CT. sagittal reformat. Bone window (WL 400, WW 1800)
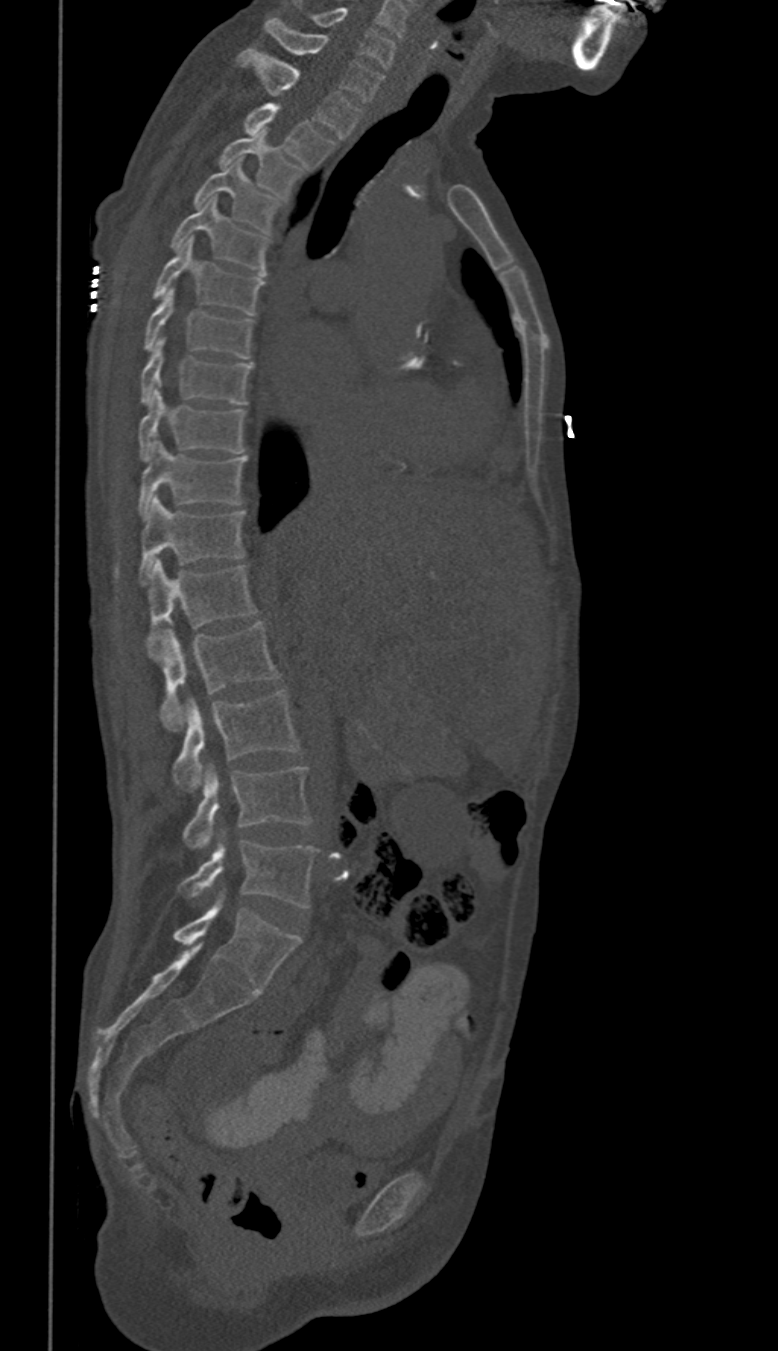
In these labels the spine has no T12: the thoracic vertebrae end at T11, and L1 comes next.
<vertebrae><v name="C6" x1="313" y1="7" x2="394" y2="68"/><v name="C7" x1="264" y1="18" x2="383" y2="102"/><v name="T1" x1="237" y1="47" x2="361" y2="137"/><v name="T2" x1="242" y1="103" x2="335" y2="168"/><v name="T3" x1="220" y1="132" x2="303" y2="197"/><v name="T4" x1="193" y1="160" x2="282" y2="231"/><v name="T5" x1="170" y1="198" x2="269" y2="275"/><v name="T6" x1="153" y1="238" x2="263" y2="315"/><v name="T7" x1="144" y1="287" x2="253" y2="357"/><v name="T8" x1="140" y1="338" x2="253" y2="404"/><v name="T9" x1="137" y1="389" x2="245" y2="462"/><v name="T10" x1="140" y1="440" x2="248" y2="517"/><v name="T11" x1="140" y1="496" x2="245" y2="582"/><v name="L1" x1="146" y1="560" x2="256" y2="659"/><v name="L2" x1="160" y1="623" x2="279" y2="731"/><v name="L3" x1="173" y1="689" x2="298" y2="791"/><v name="L4" x1="182" y1="765" x2="310" y2="848"/><v name="L5" x1="179" y1="840" x2="318" y2="908"/></vertebrae>